Spine computed tomography. 165 mm wide. sagittal view
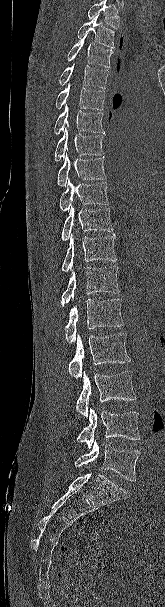 Each box given as x1,y1,x2,y2. Where the top of the scan cuts through a vertebra, that vertebra gets no label or box. 16 vertebrae labeled — T2 at x1=77, y1=15, x2=114, y2=48; T3 at x1=66, y1=35, x2=113, y2=67; T4 at x1=58, y1=63, x2=108, y2=88; T5 at x1=55, y1=83, x2=105, y2=110; T6 at x1=53, y1=104, x2=105, y2=134; T7 at x1=54, y1=124, x2=104, y2=161; T8 at x1=57, y1=154, x2=106, y2=186; T9 at x1=59, y1=179, x2=109, y2=211; T10 at x1=60, y1=205, x2=113, y2=240; T11 at x1=61, y1=233, x2=117, y2=271; T12 at x1=60, y1=266, x2=120, y2=306; L1 at x1=64, y1=299, x2=124, y2=343; L2 at x1=68, y1=333, x2=130, y2=378; L3 at x1=76, y1=370, x2=136, y2=417; L4 at x1=76, y1=408, x2=140, y2=448; L5 at x1=74, y1=439, x2=140, y2=481.